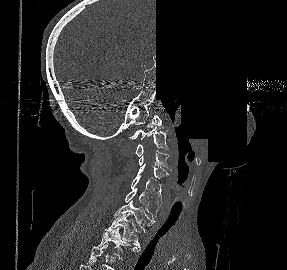 CT · sagittal reformat · bone-window reconstruction · some of the image was removed or blocked out with constant pixels
This scan's labels start at C1 at the top and end at T2 at the bottom.
<vertebrae><v name="T2" x1="93" y1="227" x2="139" y2="258"/><v name="T1" x1="105" y1="212" x2="140" y2="248"/><v name="C7" x1="114" y1="200" x2="155" y2="232"/><v name="C6" x1="125" y1="188" x2="160" y2="220"/><v name="C5" x1="131" y1="175" x2="161" y2="204"/><v name="C4" x1="138" y1="164" x2="168" y2="178"/><v name="C3" x1="138" y1="150" x2="171" y2="170"/><v name="C2" x1="135" y1="131" x2="167" y2="156"/><v name="C1" x1="128" y1="115" x2="161" y2="139"/></vertebrae>